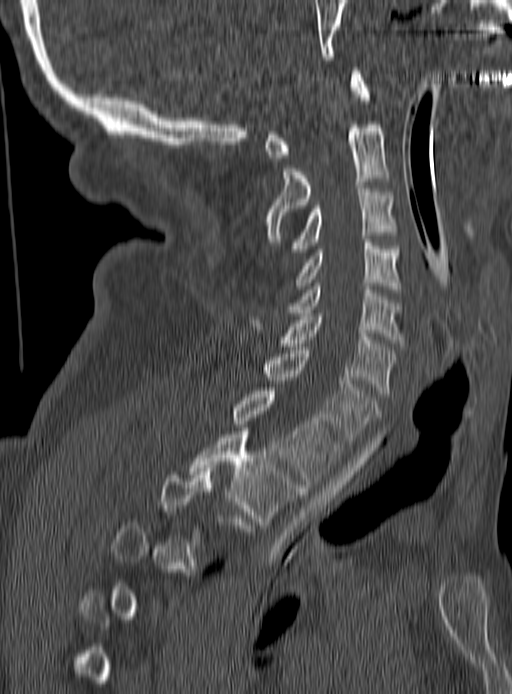

Spine CT · sagittal view · bone-window reconstruction · image width 190 mm

Boxes are (x1, y1, x2, y2) in pixels.
Not every vertebra on this slice has a box: a vertebra is boxed only from the first to the last slice where its cross-section is at least a third of its largest, and this slice is outside that range for at least one of them.
Vertebra bounding boxes:
- T2: (189, 431, 302, 524)
- T1: (233, 391, 339, 484)
- C7: (262, 350, 377, 444)
- C6: (281, 313, 396, 396)
- C5: (272, 283, 404, 343)
- C4: (297, 239, 399, 292)
- C3: (292, 185, 396, 252)
- C2: (265, 121, 388, 242)
- C1: (264, 71, 369, 161)